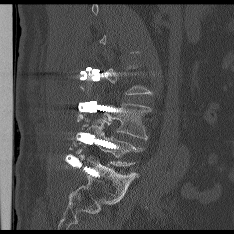

CT spine; sagittal view
Each box given as x1,y1,x2,y2.
Not every vertebra on this slice has a box: a vertebra is boxed only from the first to the last slice where its cross-section is at least a third of its largest, and this slice is outside that range for at least one of them.
Vertebra bounding boxes:
- L4: x1=91, y1=104, x2=151, y2=140
- L5: x1=86, y1=120, x2=144, y2=166